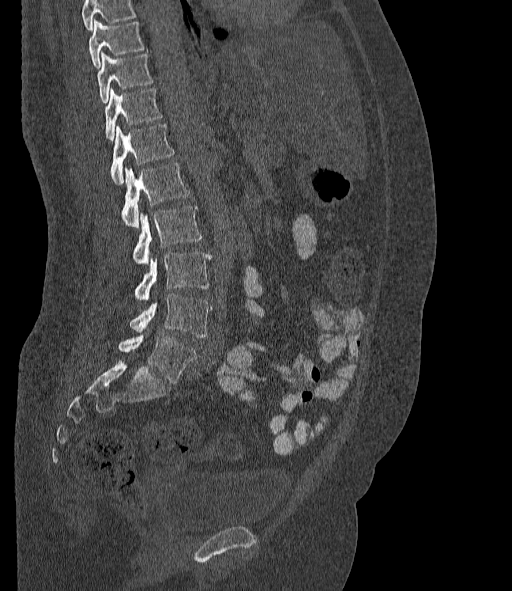 Spine CT — sagittal view — the image is 377 mm wide — Bone window (WL 400, WW 1800) — 512x591 px
Box values are [left, top, right, bottom] in pixels.
A vertebra cut off by the top edge of the scan is not labeled and has no box.
The labels name a sixth lumbar vertebra for this spine: L6, after L5.
{"vertebrae":{"T10":[88,20,144,68],"T11":[96,53,152,102],"T12":[104,88,162,140],"L1":[111,124,174,184],"L2":[122,163,189,227],"L3":[133,206,201,264],"L4":[134,253,211,299],"L5":[130,293,211,337],"L6":[118,333,196,383]}}